Spine computed tomography · Sagittal slice 297/512 · Bone window (WL 400, WW 1800) · 512x808 px
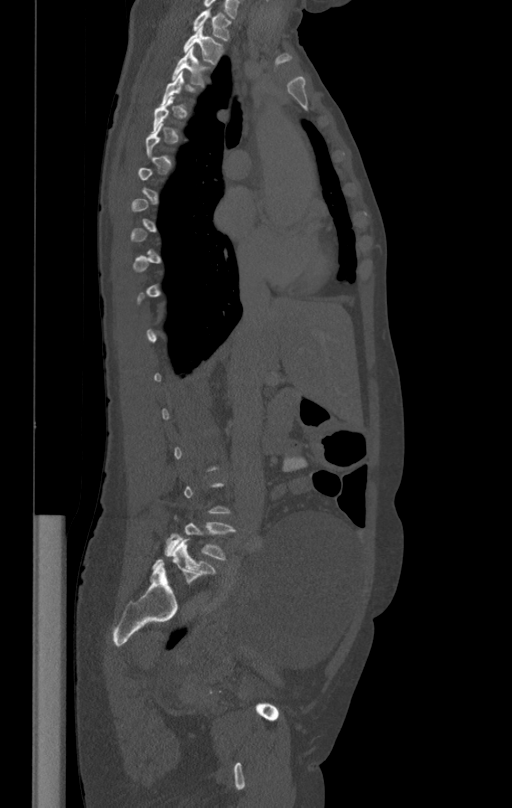
Box values are [left, top, right, bottom] in pixels.
Each vertebra is boxed only on the slices from the first to the last where its cross-section reaches a third of its largest, so a slice outside that range leaves it unboxed.
{"vertebrae":{"T1":[193,9,231,39],"T2":[184,27,223,64],"T3":[172,48,209,86],"L5":[165,521,235,559]}}